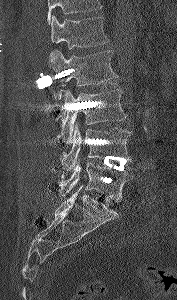 Spine CT — sagittal view — Bone window (WL 400, WW 1800) — the image spans 177 mm across — 177x300 px. Boxes are (x1, y1, x2, y2) in pixels. A vertebra cut off by the top edge of the scan is not labeled and has no box. The labeled vertebrae in this slice are: L5 at (59, 160, 134, 202), L4 at (61, 124, 132, 172), L3 at (55, 88, 127, 143), L2 at (47, 50, 118, 92), L1 at (51, 15, 109, 49).